CT, spine. sagittal view. bone-window reconstruction. 9 vertebrae labeled in this scan
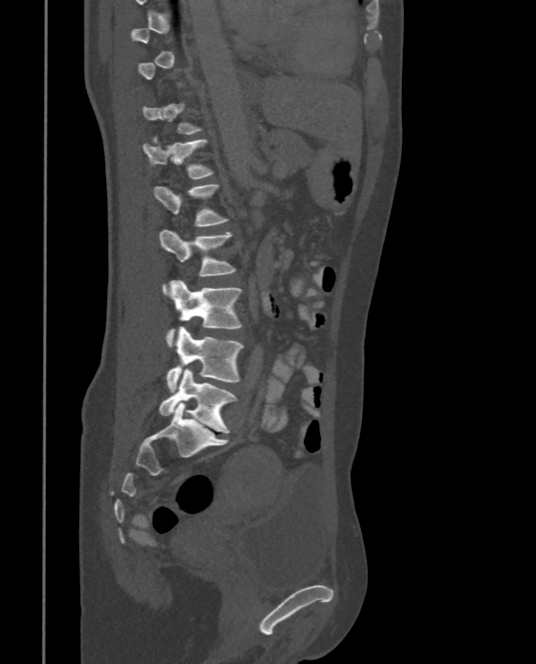

In the table, x1 and y1 are a box's top-left corner and x2 and y2 its bottom-right corner, in pixels.
Not every vertebra on this slice has a box: a vertebra is boxed only from the first to the last slice where its cross-section is at least a third of its largest, and this slice is outside that range for at least one of them.
| vertebra | x1 | y1 | x2 | y2 |
|---|---|---|---|---|
| L5 | 158 | 368 | 235 | 433 |
| L4 | 167 | 326 | 243 | 392 |
| L3 | 167 | 280 | 242 | 346 |
| L2 | 158 | 230 | 234 | 293 |
| L1 | 154 | 184 | 226 | 226 |
| T12 | 142 | 140 | 211 | 179 |